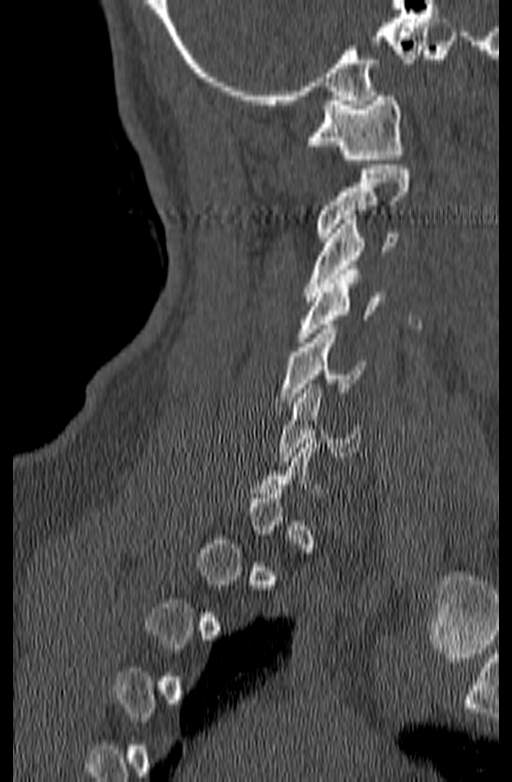

Spine CT. image 140 mm wide. sagittal view. bone-window reconstruction

Each box given as x1,y1,x2,y2.
A vertebra is boxed only from the first to the last slice where its cross-section is at least a third of its largest; slices outside that range leave it without a box.
| vertebra | x1 | y1 | x2 | y2 |
|---|---|---|---|---|
| C1 | 305 | 91 | 404 | 164 |
| C2 | 316 | 165 | 410 | 237 |
| C3 | 305 | 215 | 399 | 301 |
| C4 | 295 | 270 | 385 | 342 |
| C5 | 276 | 325 | 366 | 406 |
| C6 | 279 | 384 | 361 | 461 |